CT; Sagittal slice 206/512; 512x933 px; part of the image is a flat gray fill, not anatomy
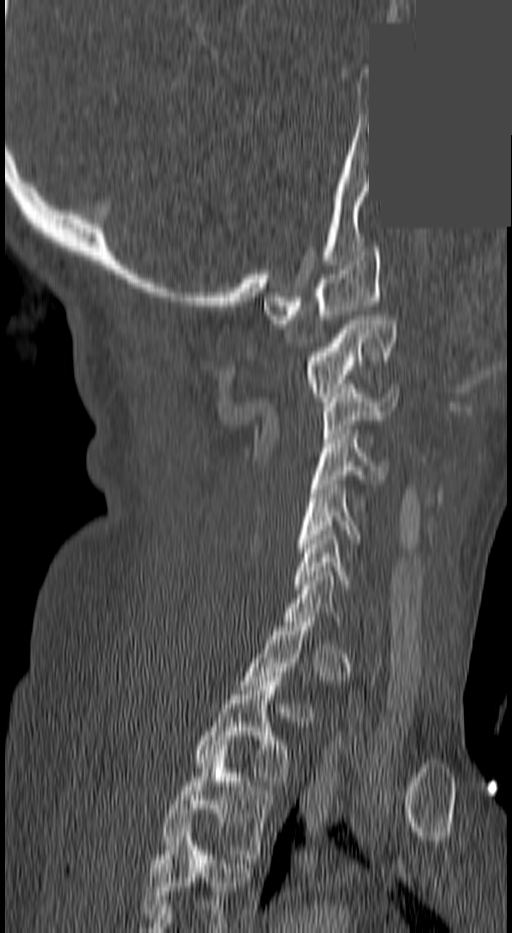 Each box given as x1,y1,x2,y2.
Each vertebra is boxed only on the slices from the first to the last where its cross-section reaches a third of its largest, so a slice outside that range leaves it unboxed.
The highest labeled vertebra in this scan is C1; the lowest is T3.
C1: x1=263, y1=247, x2=381, y2=324
C2: x1=303, y1=315, x2=395, y2=401
C3: x1=322, y1=389, x2=399, y2=438
C4: x1=312, y1=434, x2=384, y2=488
C5: x1=295, y1=485, x2=359, y2=552
C6: x1=294, y1=535, x2=348, y2=589
T2: x1=195, y1=677, x2=286, y2=785
T3: x1=162, y1=750, x2=271, y2=858